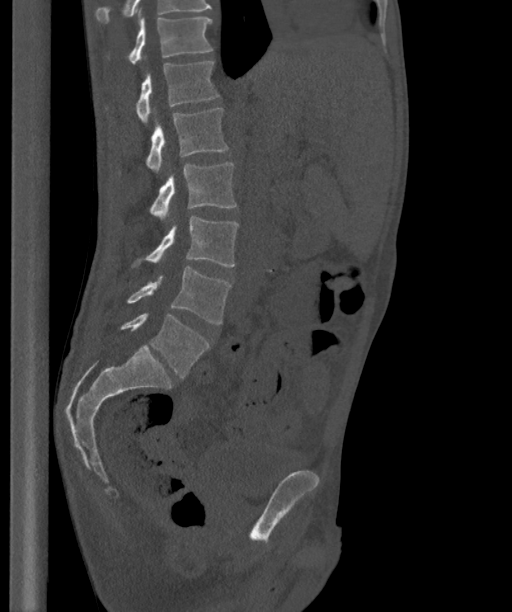
Spine computed tomography. sagittal view. bone-window reconstruction. image width 363 mm. 512x612 px
Boxes are (x1, y1, x2, y2) in pixels.
These labels give the spine a sixth lumbar vertebra, L6, below L5.
Vertebra bounding boxes:
- T12: (130, 10, 212, 64)
- L1: (136, 61, 219, 123)
- L2: (146, 108, 227, 174)
- L3: (151, 162, 236, 220)
- L4: (135, 217, 239, 267)
- L5: (127, 267, 230, 323)
- L6: (121, 312, 209, 377)